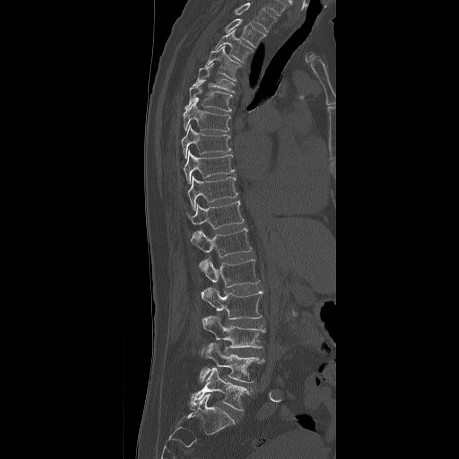 Computed tomography of the spine — sagittal reformat — 459x459 px. Coordinates as <box>x1,y1,x2,y2</box>.
The highest labeled vertebra in this scan is T2; the lowest is L5.
T2: <box>225,19,265,46</box>
T3: <box>215,30,253,62</box>
T4: <box>204,46,242,79</box>
T5: <box>193,64,235,92</box>
T6: <box>184,79,232,111</box>
T7: <box>183,97,230,131</box>
T8: <box>181,125,230,158</box>
T9: <box>183,151,233,183</box>
T10: <box>187,176,238,211</box>
T11: <box>186,201,244,238</box>
T12: <box>191,228,252,257</box>
L1: <box>199,257,259,287</box>
L2: <box>201,288,262,319</box>
L3: <box>202,315,265,353</box>
L4: <box>199,342,264,383</box>
L5: <box>191,368,248,411</box>